Spine computed tomography — 216 mm wide — sagittal view — 216x568 px — scan covers 19 annotated vertebrae
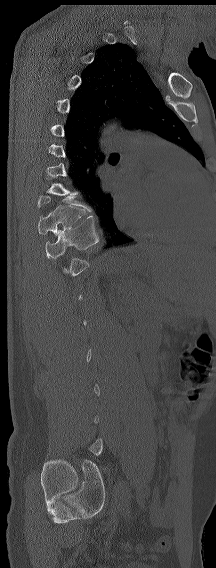

Boxes: x1:y1:x2:y2 in pixels.
A vertebra is boxed only from the first to the last slice where its cross-section is at least a third of its largest; slices outside that range leave it without a box.
Vertebra bounding boxes:
- T10: 38:204:85:235
- T11: 45:215:99:258